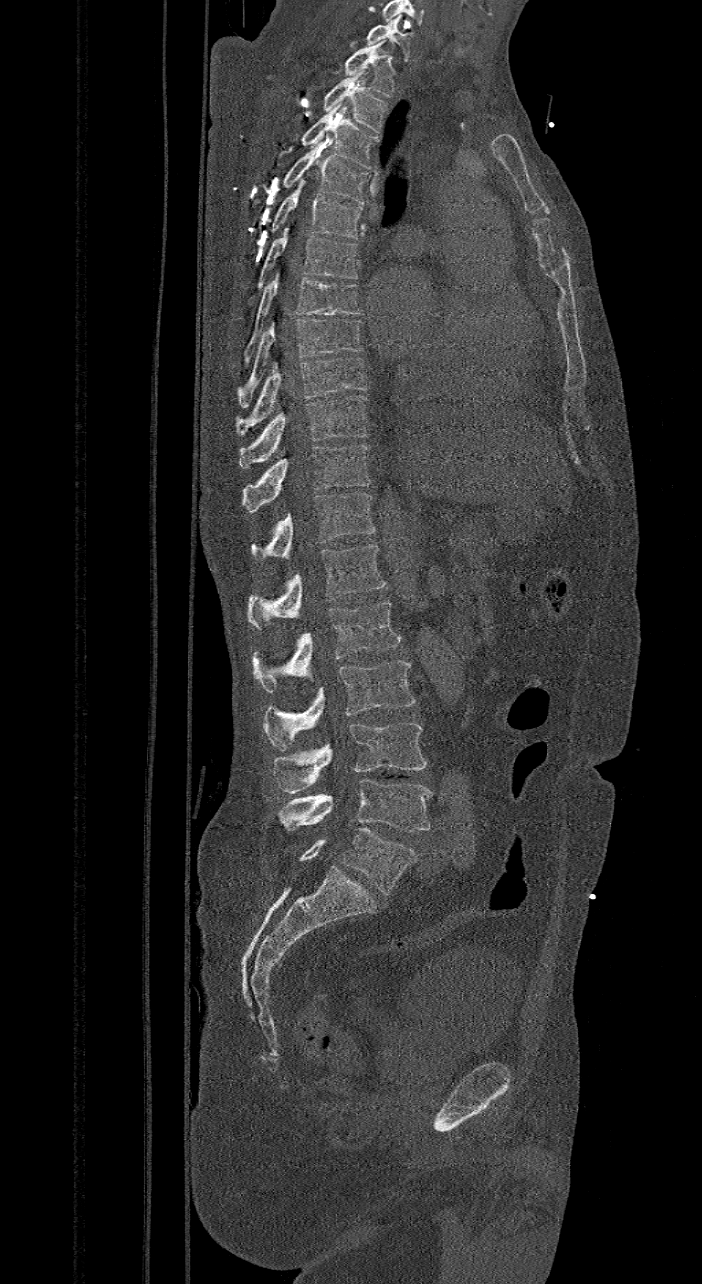 Spine CT · sagittal reformat

Each box is [x1, y1, x2, y2] in pixels: top-left corner, then bottom-right corner.
In these labels the spine has an L6, a sixth lumbar vertebra below L5.
{"vertebrae":{"C7":[365,15,413,61],"T1":[343,40,396,96],"T2":[322,69,387,132],"T3":[300,103,379,169],"T4":[251,141,370,206],"T5":[251,179,362,252],"T6":[247,225,358,304],"T7":[243,271,364,366],"T8":[238,318,362,407],"T9":[234,357,368,436],"T10":[238,395,368,468],"T11":[241,444,370,512],"T12":[251,492,376,560],"L1":[247,545,385,629],"L2":[254,602,401,692],"L3":[263,661,416,750],"L4":[273,723,427,793],"L5":[277,779,432,832],"L6":[299,828,416,895]}}